Computed tomography of the spine — sagittal view — 210 mm across the image — an area of the scan was removed and filled with constant pixels
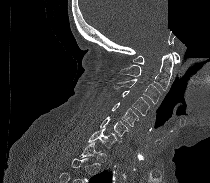 Boxes: x1:y1:x2:y2 in pixels.
Each vertebra is boxed only on the slices from the first to the last where its cross-section reaches a third of its largest, so a slice outside that range leaves it unboxed.
Vertebra bounding boxes:
- C7: 88:129:116:148
- C6: 99:116:128:142
- C5: 112:102:138:126
- C4: 121:90:149:115
- C3: 114:78:161:104
- C2: 119:53:173:90
- C1: 133:52:179:64